CT. sagittal plane, index 106. bone-window reconstruction
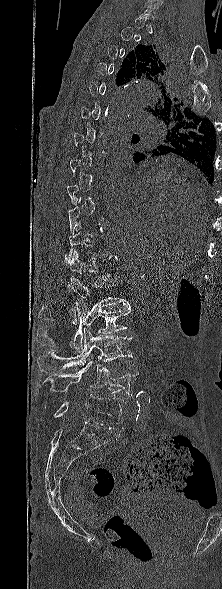
Box values are [left, top, right, bottom] in pixels.
Each vertebra is boxed only on the slices from the first to the last where its cross-section reaches a third of its largest, so a slice outside that range leaves it unboxed.
{"vertebrae":{"L1":[40,277,128,324],"L2":[37,301,130,351],"L3":[37,328,132,372],"L4":[37,361,138,396],"L5":[54,394,124,430]}}